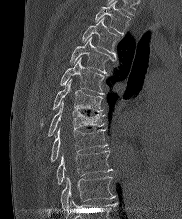
CT, spine. sagittal view
Each box is [x1, y1, x2, y2] in pixels: top-left corner, then bottom-right corner.
This scan's labels start at T2 at the top and end at T10 at the bottom.
{"vertebrae":{"T10":[60,176,114,208],"T9":[56,150,112,184],"T8":[51,127,106,161],"T7":[48,101,104,135],"T6":[42,79,103,123],"T5":[60,57,104,94],"T4":[70,37,115,73],"T3":[82,17,119,58],"T2":[95,1,129,34]}}